Computed tomography of the spine — sagittal plane, index 240
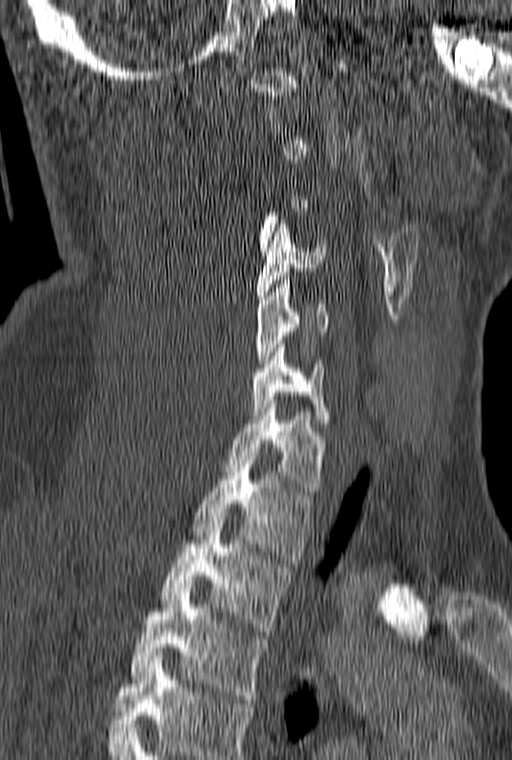

Each row gives a vertebra's box as x1, y1, x2, y2 in pixels: top-left corner, then bottom-right corner.
Not every vertebra on this slice has a box: a vertebra is boxed only from the first to the last slice where its cross-section is at least a third of its largest, and this slice is outside that range for at least one of them.
The highest labeled vertebra in this scan is C1; the lowest is T3.
| vertebra | x1 | y1 | x2 | y2 |
|---|---|---|---|---|
| C4 | 257 | 220 | 326 | 303 |
| C5 | 256 | 280 | 328 | 367 |
| C6 | 251 | 344 | 330 | 423 |
| C7 | 225 | 400 | 324 | 495 |
| T1 | 191 | 452 | 313 | 559 |
| T2 | 161 | 520 | 291 | 631 |
| T3 | 129 | 588 | 269 | 703 |